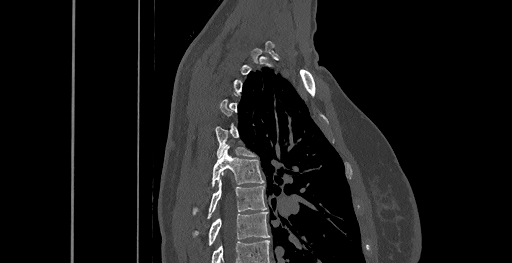 CT, spine; sagittal view; bone-window reconstruction; 512x263 px
Coordinates as <box>x1,y1,x2,y2</box>.
Each vertebra is boxed only on the slices from the first to the last where its cross-section reaches a third of its largest, so a slice outside that range leaves it unboxed.
In this scan, the topmost labeled vertebra is C6 and the lowest is T8.
Vertebra bounding boxes:
- T8: <box>208,212,270,244</box>
- T7: <box>207,179,266,218</box>
- T6: <box>195,147,263,210</box>